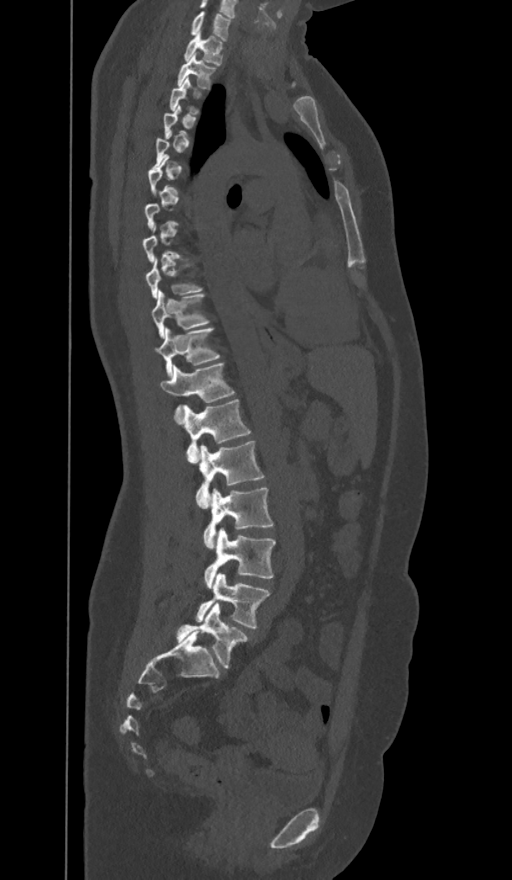
CT, spine. sagittal view

Each box given as x1,y1,x2,y2.
Not every vertebra on this slice has a box: a vertebra is boxed only from the first to the last slice where its cross-section is at least a third of its largest, and this slice is outside that range for at least one of them.
In these labels the spine has an L6, a sixth lumbar vertebra below L5.
| vertebra | x1 | y1 | x2 | y2 |
|---|---|---|---|---|
| C7 | 190 | 12 | 230 | 40 |
| T1 | 183 | 32 | 222 | 64 |
| T2 | 176 | 54 | 215 | 89 |
| T3 | 170 | 78 | 201 | 114 |
| T9 | 146 | 258 | 203 | 298 |
| T10 | 152 | 290 | 210 | 338 |
| T11 | 159 | 328 | 221 | 376 |
| T12 | 160 | 362 | 234 | 423 |
| L1 | 185 | 399 | 251 | 462 |
| L2 | 196 | 440 | 264 | 508 |
| L3 | 204 | 487 | 274 | 547 |
| L4 | 205 | 529 | 275 | 587 |
| L5 | 197 | 573 | 270 | 629 |
| L6 | 176 | 604 | 248 | 668 |